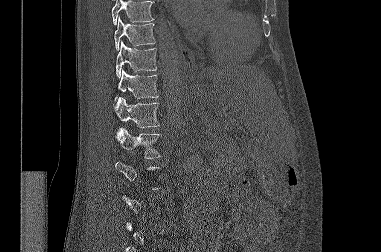

CT spine — sagittal reformat — W/L 1800/400 HU — 381x252 px
Boxes: x1:y1:x2:y2 in pixels.
A vertebra gets a box only on the slices from the first to the last where its cross-section is at least a third of its largest; on a slice outside that range it gets none.
Where the top of the scan cuts through a vertebra, that vertebra gets no label or box.
T9: 114:16:155:50
T10: 116:40:156:77
T11: 114:69:158:102
T12: 113:97:159:130
L1: 115:127:160:158